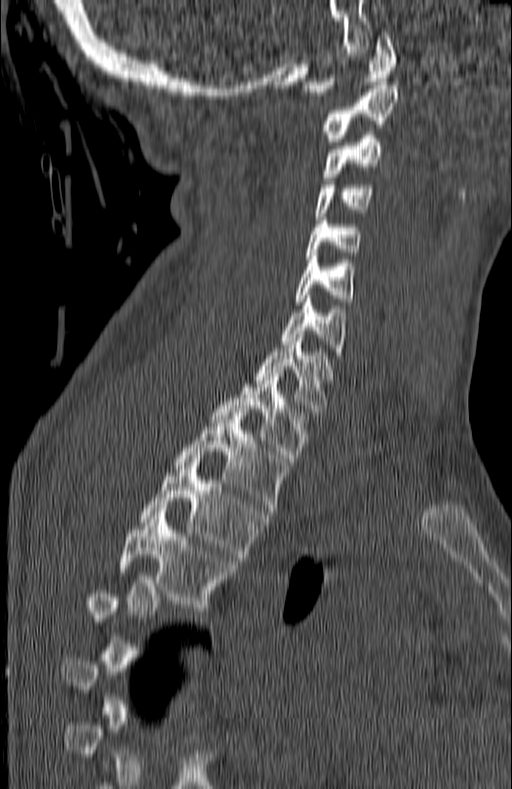

Computed tomography of the spine; sagittal view
Boxes: x1:y1:x2:y2 in pixels.
Each vertebra is boxed only on the slices from the first to the last where its cross-section reaches a third of its largest, so a slice outside that range leaves it unboxed.
Vertebra bounding boxes:
- C1: 303:32:398:95
- C2: 322:85:398:141
- C3: 322:132:384:180
- C4: 317:185:373:216
- C5: 305:217:361:259
- C6: 294:252:353:305
- C7: 280:299:347:362
- T1: 254:334:336:419
- T2: 211:373:310:461
- T3: 174:412:290:511
- T4: 140:459:267:561
- T5: 118:512:236:611